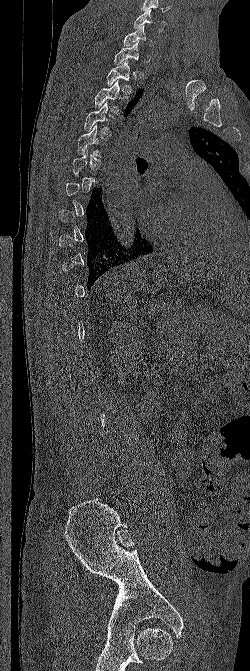 Computed tomography of the spine. sagittal view. 250 mm image width. 250x671 px

Each vertebra maps to its box as [x1, y1, x2, y2], the pixel coordinates of its top-left and bottom-right corners.
A vertebra is boxed only from the first to the last slice where its cross-section is at least a third of its largest; slices outside that range leave it without a box.
{"vertebrae":{"C6":[133,9,166,31],"C7":[123,24,152,46],"T1":[113,41,139,65],"T2":[106,61,135,93],"T3":[94,80,124,116],"T4":[83,101,111,136],"T5":[77,125,104,157]}}